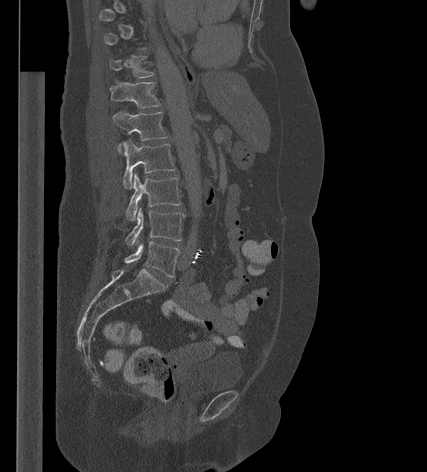 Spine CT · sagittal view · the image is 427 mm wide · bone window · 427x472 px. Boxes are given in columns x1, y1, x2, y2, the pixel coordinates of their top-left and bottom-right corners.
A vertebra is boxed only from the first to the last slice where its cross-section is at least a third of its largest; slices outside that range leave it without a box.
| vertebra | x1 | y1 | x2 | y2 |
|---|---|---|---|---|
| T11 | 109 | 56 | 154 | 78 |
| T12 | 109 | 81 | 161 | 107 |
| L1 | 113 | 111 | 168 | 150 |
| L2 | 122 | 140 | 175 | 189 |
| L3 | 126 | 173 | 180 | 221 |
| L4 | 125 | 208 | 184 | 245 |
| L5 | 124 | 241 | 180 | 277 |